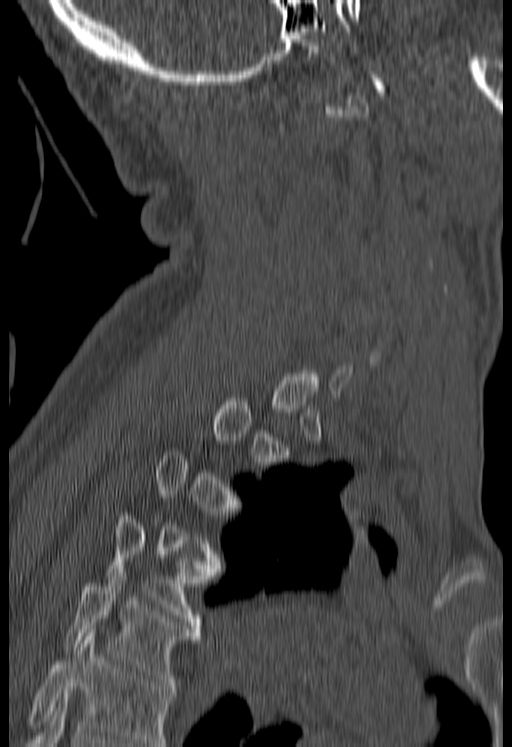
Spine computed tomography · sagittal view · the image is 180 mm wide
Not every vertebra on this slice has a box: a vertebra is boxed only from the first to the last slice where its cross-section is at least a third of its largest, and this slice is outside that range for at least one of them.
No box is given to a vertebra that the bottom edge of the scan cuts off.
<vertebrae><v name="T4" x1="106" y1="512" x2="205" y2="625"/><v name="T5" x1="64" y1="572" x2="199" y2="689"/></vertebrae>